Computed tomography of the spine; sagittal view
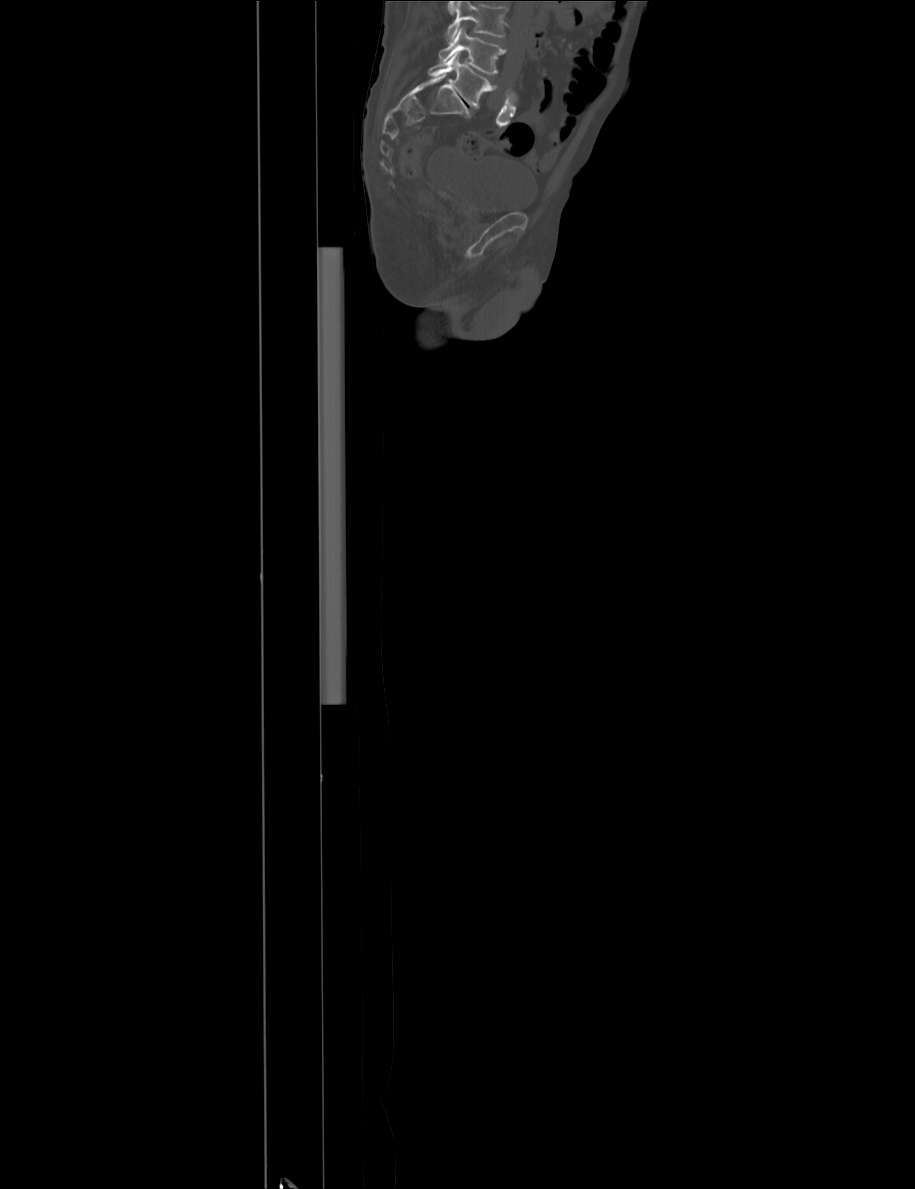 Bounding boxes as [x1, y1, x2, y2] in pixel coordinates.
No box is given to a vertebra that the top edge of the scan cuts off.
Vertebra bounding boxes:
- L4: [438, 26, 506, 74]
- L5: [428, 51, 496, 108]